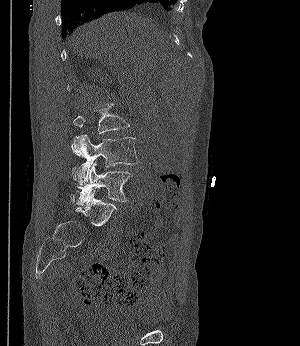

CT, spine; sagittal reformat. Boxes are (x1, y1, x2, y2) in pixels. Vertebrae labeled: L3 at (73, 104, 129, 134), L4 at (71, 135, 139, 184), L5 at (72, 161, 133, 205).